Computed tomography of the spine — sagittal reformat — bone-window reconstruction — 149 mm image width — scan covers 12 annotated vertebrae
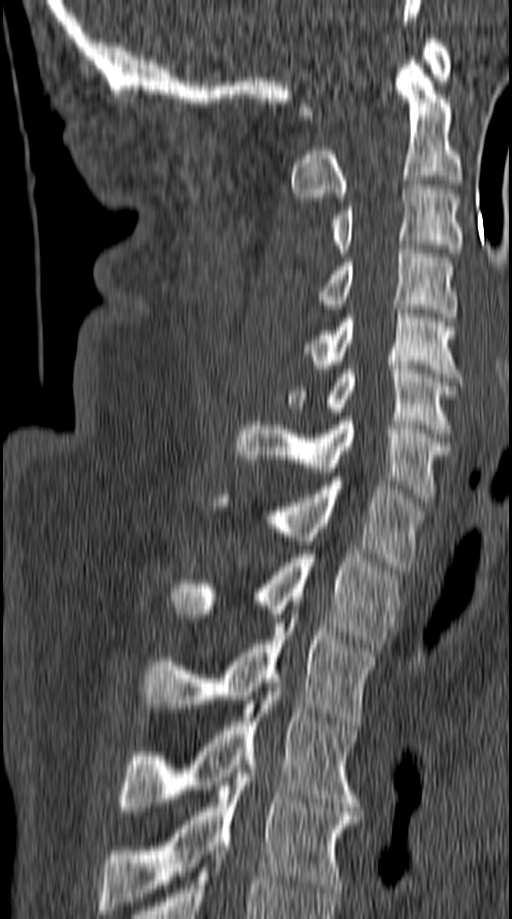
Each box given as x1,y1,x2,y2.
Vertebra bounding boxes:
- T5: x1=99, y1=760, x2=359, y2=914
- T4: x1=118, y1=687, x2=358, y2=815
- T3: x1=142, y1=614, x2=375, y2=725
- T2: x1=170, y1=550, x2=395, y2=652
- T1: x1=218, y1=481, x2=423, y2=570
- C7: x1=235, y1=417, x2=450, y2=502
- C6: x1=286, y1=365, x2=459, y2=437
- C5: x1=304, y1=305, x2=459, y2=377
- C4: x1=317, y1=249, x2=454, y2=317
- C3: x1=331, y1=185, x2=461, y2=257
- C2: x1=291, y1=60, x2=462, y2=201
- C1: x1=299, y1=34, x2=451, y2=119